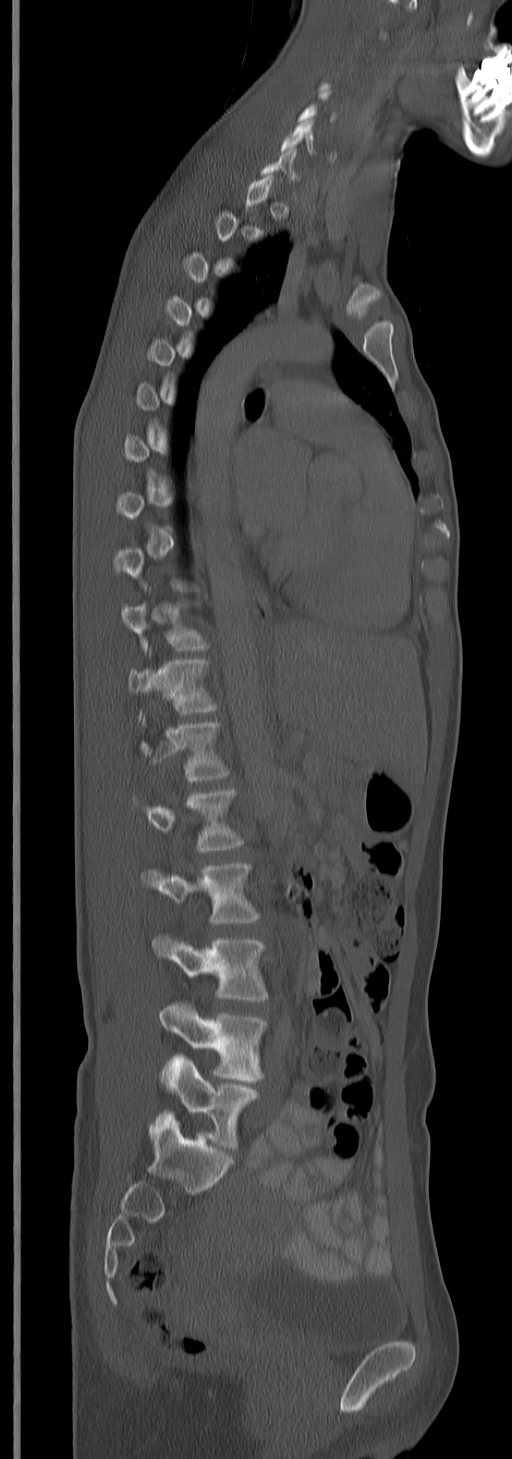
CT, spine; sagittal view; Bone window (WL 400, WW 1800); 512x1459 px

Each vertebra is boxed only on the slices from the first to the last where its cross-section reaches a third of its largest, so a slice outside that range leaves it unboxed.
<vertebrae><v name="C6" x1="281" y1="119" x2="315" y2="154"/><v name="T10" x1="122" y1="603" x2="209" y2="652"/><v name="T11" x1="128" y1="659" x2="217" y2="714"/><v name="T12" x1="141" y1="722" x2="229" y2="781"/><v name="L1" x1="132" y1="786" x2="244" y2="852"/><v name="L2" x1="141" y1="862" x2="259" y2="923"/><v name="L3" x1="153" y1="935" x2="267" y2="1001"/><v name="L4" x1="159" y1="1002" x2="267" y2="1082"/><v name="L5" x1="161" y1="1054" x2="259" y2="1149"/></vertebrae>